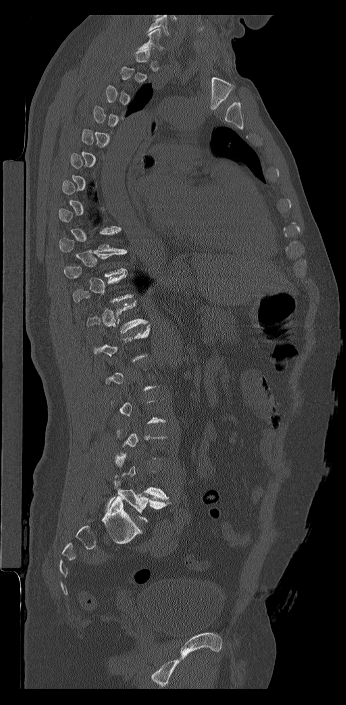 Spine CT. sagittal view
Each vertebra maps to its box as [x1, y1, x2, y2], the pixel coordinates of its top-left and bottom-right corners.
A vertebra is boxed only from the first to the last slice where its cross-section is at least a third of its largest; slices outside that range leave it without a box.
In this scan, the topmost labeled vertebra is C7 and the lowest is L6.
These labels give the spine a sixth lumbar vertebra, L6, below L5.
{"vertebrae":{"L6":[106,479,170,522],"T12":[86,300,147,333],"T9":[59,230,123,255],"C7":[138,29,164,50]}}